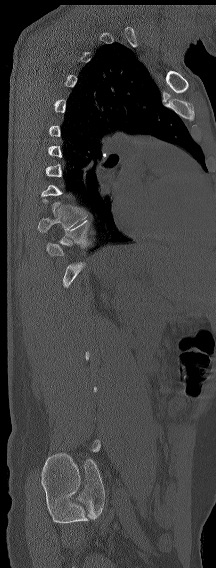
Spine computed tomography. sagittal reformat. bone window. Columns x1, y1, x2, y2 give each box's top-left and bottom-right pixels.
Each vertebra is boxed only on the slices from the first to the last where its cross-section reaches a third of its largest, so a slice outside that range leaves it unboxed.
| vertebra | x1 | y1 | x2 | y2 |
|---|---|---|---|---|
| T11 | 46 | 218 | 92 | 256 |
| T10 | 38 | 205 | 88 | 232 |